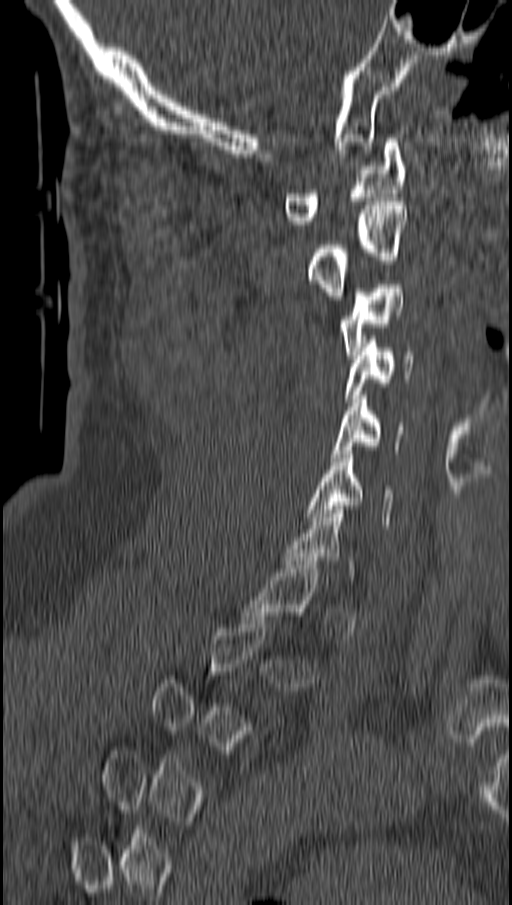

CT spine — sagittal reformat — 512x905 px. Each row gives a vertebra's box as x1, y1, x2, y2 in pixels: top-left corner, then bottom-right corner.
A vertebra is boxed only from the first to the last slice where its cross-section is at least a third of its largest; slices outside that range leave it without a box.
| vertebra | x1 | y1 | x2 | y2 |
|---|---|---|---|---|
| C1 | 285 | 138 | 405 | 224 |
| C2 | 308 | 201 | 408 | 299 |
| C3 | 339 | 280 | 405 | 359 |
| C4 | 346 | 336 | 414 | 402 |
| C5 | 330 | 395 | 401 | 461 |
| C6 | 308 | 450 | 392 | 528 |